CT, spine. sagittal reformat
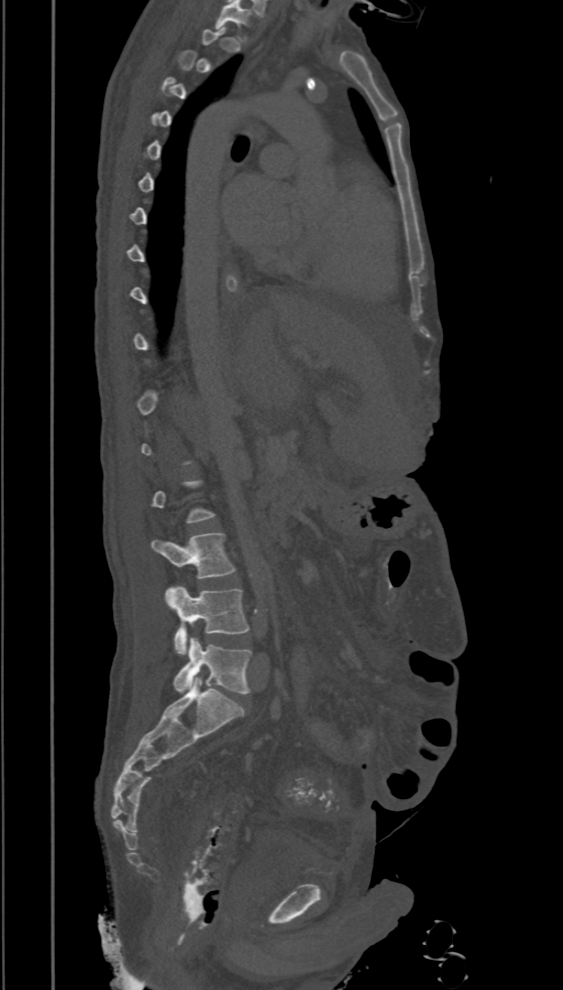

Box edges are left/top/right/bottom in pixels. Each vertebra is boxed only on the slices from the first to the last where its cross-section reaches a third of its largest, so a slice outside that range leaves it unboxed. 3 vertebrae labeled — L3 at left=151, top=533, right=234, bottom=578; L4 at left=165, top=586, right=249, bottom=654; L5 at left=173, top=638, right=252, bottom=694.